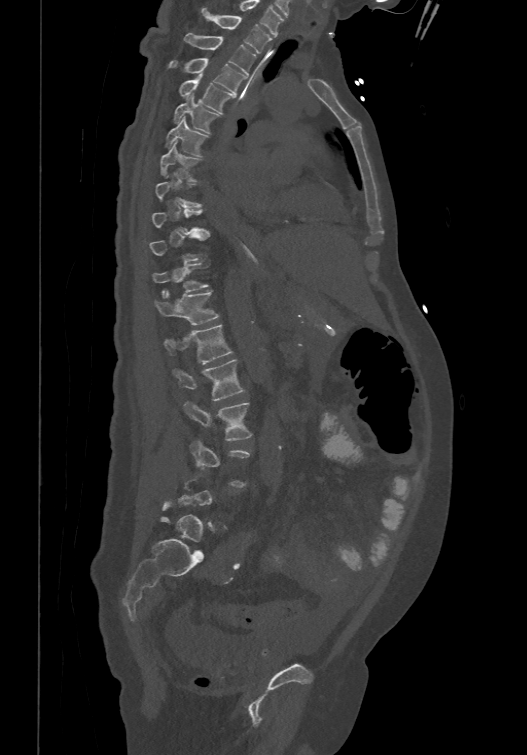

CT, spine; sagittal view; 527x755 px; image width 474 mm
Each row gives a vertebra's box as x1, y1, x2, y2 in pixels: top-left corner, then bottom-right corner.
Not every vertebra on this slice has a box: a vertebra is boxed only from the first to the last slice where its cross-section is at least a third of its largest, and this slice is outside that range for at least one of them.
In these labels the spine has an L6, a sixth lumbar vertebra below L5.
| vertebra | x1 | y1 | x2 | y2 |
|---|---|---|---|---|
| T1 | 202 | 8 | 271 | 53 |
| T2 | 183 | 32 | 255 | 74 |
| T3 | 167 | 56 | 246 | 93 |
| T4 | 178 | 73 | 234 | 113 |
| T5 | 172 | 93 | 221 | 132 |
| T6 | 165 | 116 | 208 | 155 |
| T7 | 160 | 141 | 202 | 180 |
| T8 | 155 | 173 | 202 | 206 |
| T11 | 152 | 262 | 209 | 296 |
| T12 | 154 | 288 | 219 | 324 |
| L1 | 164 | 323 | 233 | 363 |
| L2 | 172 | 358 | 245 | 401 |
| L3 | 183 | 402 | 252 | 440 |
| L4 | 190 | 439 | 250 | 486 |
| L6 | 164 | 505 | 216 | 552 |